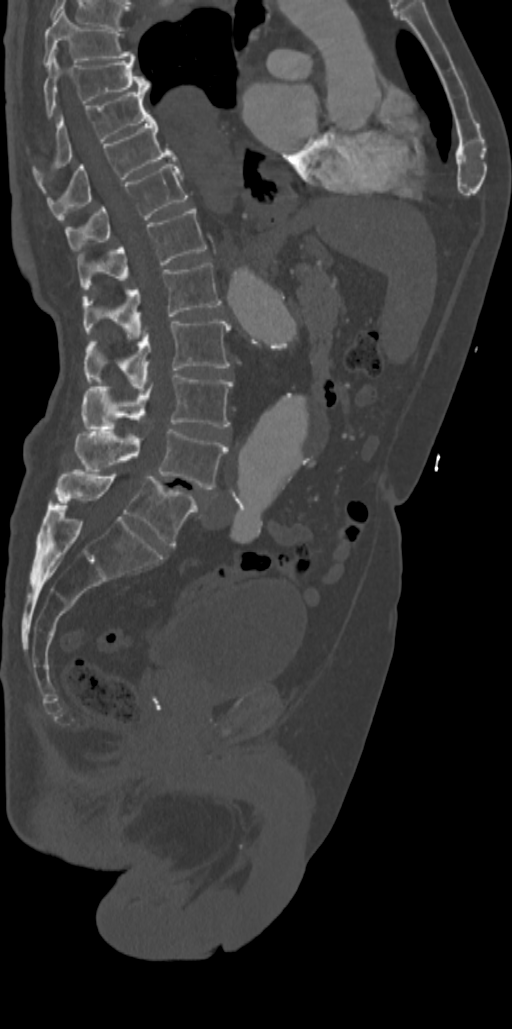

CT. sagittal view. 512x1029 px
<vertebrae><v name="T7" x1="43" y1="9" x2="134" y2="66"/><v name="T8" x1="43" y1="54" x2="149" y2="116"/><v name="T9" x1="33" y1="90" x2="149" y2="174"/><v name="T10" x1="46" y1="115" x2="174" y2="219"/><v name="T11" x1="66" y1="164" x2="187" y2="251"/><v name="T12" x1="78" y1="207" x2="207" y2="289"/><v name="L1" x1="82" y1="263" x2="222" y2="338"/><v name="L2" x1="84" y1="319" x2="231" y2="390"/><v name="L3" x1="84" y1="373" x2="232" y2="430"/><v name="L4" x1="75" y1="427" x2="228" y2="489"/><v name="L5" x1="55" y1="470" x2="196" y2="545"/></vertebrae>